Spine CT — the image is 227 mm wide — Sagittal slice 449/768 — Bone window (WL 400, WW 1800) — scan covers 9 annotated vertebrae
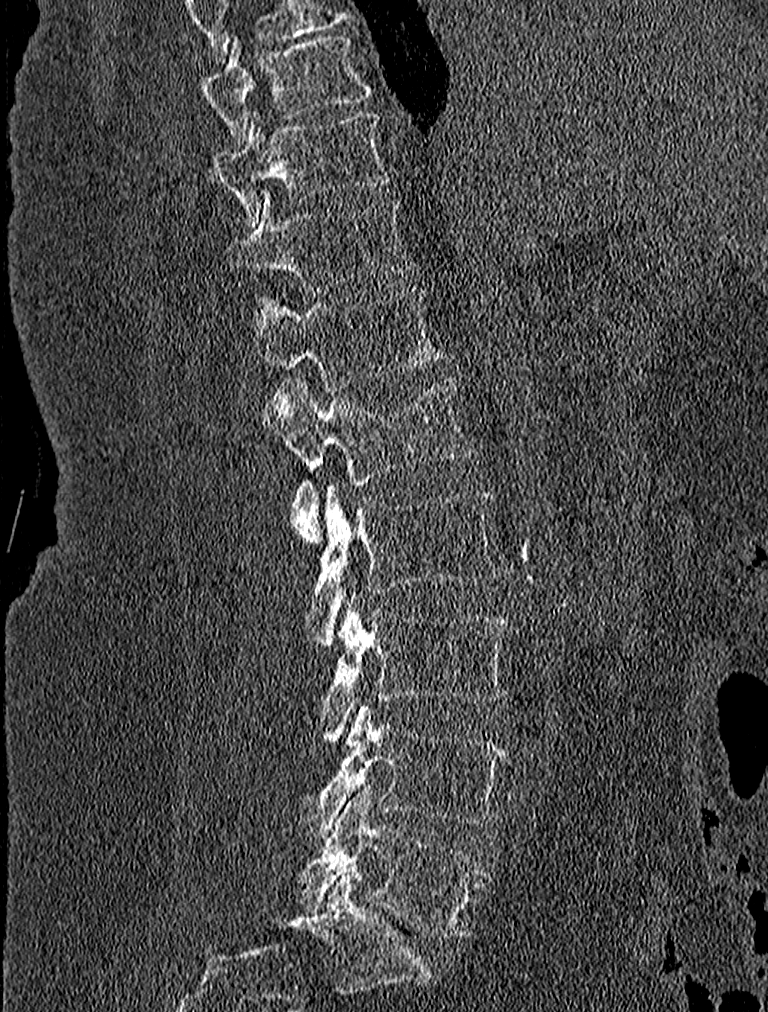

Boxes: x1 y1 x2 y2 (pixel coords, space-separated).
Vertebra bounding boxes:
- T9: 198 33 370 147
- T10: 209 111 394 223
- T11: 228 193 411 290
- T12: 253 288 438 392
- L1: 261 376 475 544
- L2: 310 481 502 648
- L3: 320 589 512 739
- L4: 297 702 509 839
- L5: 300 787 485 938